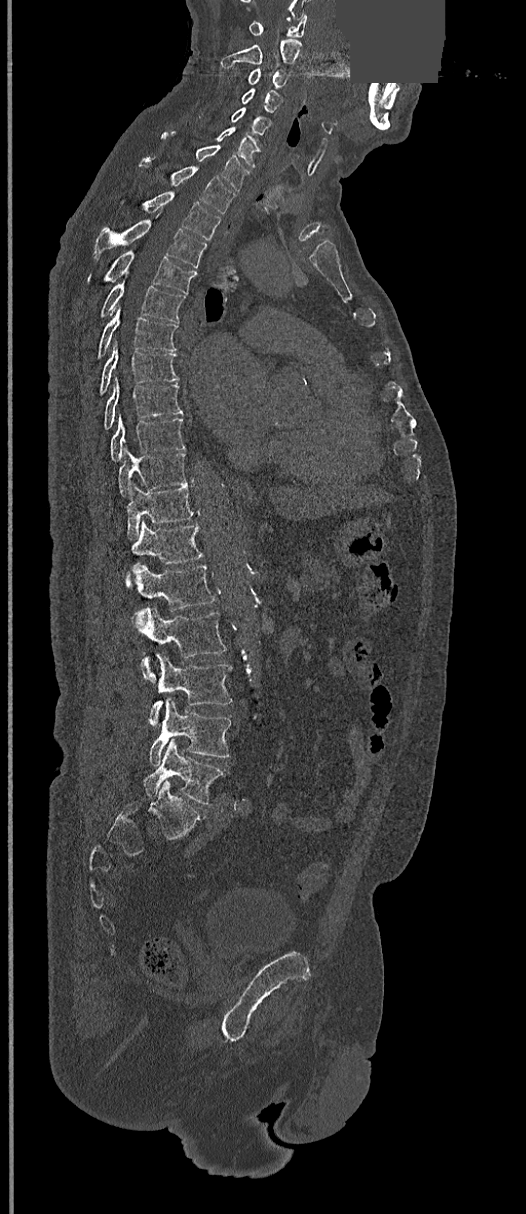 Computed tomography of the spine; sagittal view; the image is 368 mm wide; part of the image has been replaced by a constant value
<vertebrae><v name="L5" x1="144" y1="739" x2="225" y2="805"/><v name="L4" x1="150" y1="698" x2="232" y2="765"/><v name="L3" x1="148" y1="653" x2="232" y2="725"/><v name="L2" x1="132" y1="607" x2="226" y2="679"/><v name="L1" x1="135" y1="563" x2="215" y2="610"/><v name="T12" x1="127" y1="521" x2="203" y2="582"/><v name="T11" x1="127" y1="483" x2="193" y2="539"/><v name="T10" x1="118" y1="449" x2="186" y2="496"/><v name="T9" x1="110" y1="414" x2="185" y2="460"/><v name="T8" x1="104" y1="376" x2="182" y2="429"/><v name="T7" x1="100" y1="341" x2="179" y2="395"/><v name="T6" x1="97" y1="307" x2="178" y2="358"/><v name="T5" x1="100" y1="275" x2="185" y2="322"/><v name="T4" x1="88" y1="250" x2="196" y2="293"/><v name="T3" x1="92" y1="220" x2="206" y2="268"/><v name="T2" x1="144" y1="191" x2="220" y2="240"/><v name="T1" x1="142" y1="163" x2="234" y2="213"/><v name="C7" x1="163" y1="133" x2="244" y2="190"/><v name="C6" x1="217" y1="127" x2="259" y2="168"/><v name="C5" x1="197" y1="107" x2="270" y2="135"/><v name="C4" x1="241" y1="89" x2="281" y2="112"/><v name="C3" x1="248" y1="67" x2="286" y2="88"/><v name="C2" x1="221" y1="39" x2="302" y2="65"/><v name="C1" x1="248" y1="14" x2="307" y2="38"/></vertebrae>